CT — sagittal reformat — 374 mm image width
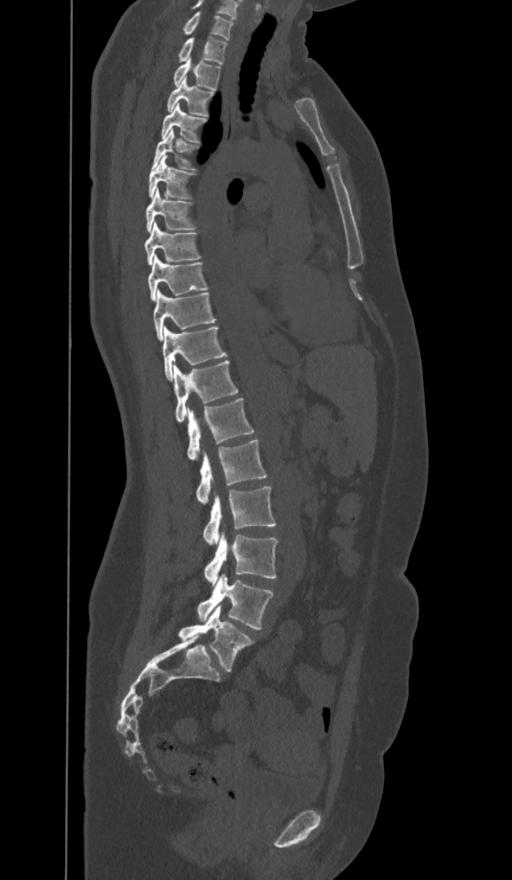
Box edges are left/top/right/bottom in pixels. These labels give the spine a sixth lumbar vertebra, L6, below L5. 19 vertebrae labeled — C7 at left=183, top=12, right=233, bottom=40; T1 at left=179, top=37, right=226, bottom=64; T2 at left=174, top=58, right=219, bottom=89; T3 at left=167, top=78, right=212, bottom=115; T4 at left=161, top=103, right=206, bottom=142; T5 at left=152, top=129, right=197, bottom=170; T6 at left=148, top=155, right=193, bottom=199; T7 at left=146, top=189, right=195, bottom=232; T8 at left=145, top=222, right=200, bottom=264; T9 at left=148, top=255, right=207, bottom=300; T10 at left=153, top=290, right=215, bottom=339; T11 at left=163, top=327, right=226, bottom=380; T12 at left=174, top=361, right=237, bottom=422; L1 at left=186, top=398, right=253, bottom=460; L2 at left=196, top=439, right=266, bottom=504; L3 at left=204, top=487, right=275, bottom=545; L4 at left=204, top=533, right=277, bottom=584; L5 at left=197, top=574, right=273, bottom=630; L6 at left=178, top=605, right=252, bottom=670.